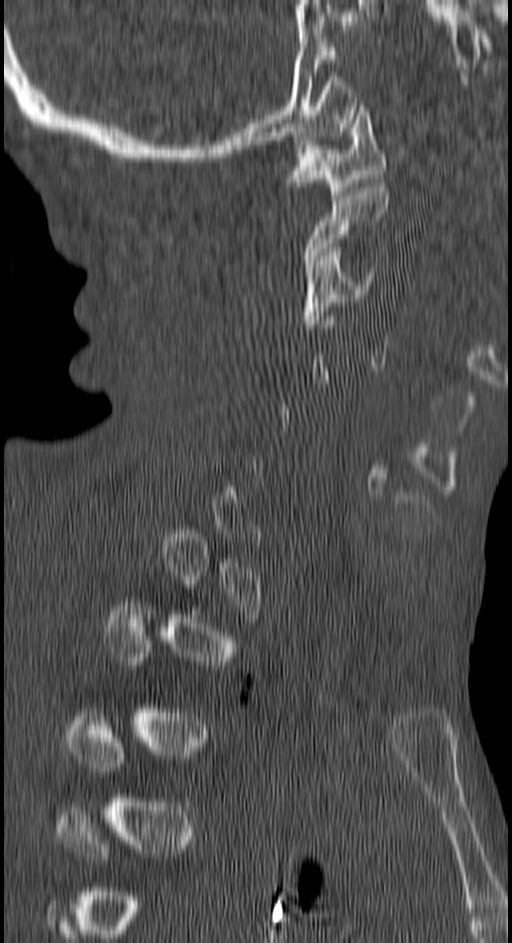 Computed tomography of the spine. sagittal view. the image is 150 mm wide. bone-window reconstruction
Coordinates as <box>x1,y1,x2,y2</box>.
Not every vertebra on this slice has a box: a vertebra is boxed only from the first to the last slice where its cross-section is at least a third of its largest, and this slice is outside that range for at least one of them.
Vertebra bounding boxes:
- C1: <box>288,102,386,195</box>
- C2: <box>305,183,389,268</box>
- C3: <box>302,247,376,328</box>